Spine CT — Sagittal slice 102/168 — image width 168 mm — W/L 1800/400 HU
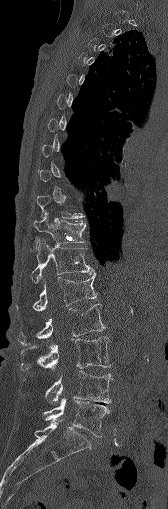 Each box given as x1,y1,x2,y2. A vertebra gets a box only on the slices from the first to the last where its cross-section is at least a third of its largest; on a slice outside that range it gets none. The labeled vertebrae in this slice are: T11 at x1=33, y1=217, x2=85, y2=247, T12 at x1=31, y1=237, x2=93, y2=282, L1 at x1=17, y1=272, x2=97, y2=311, L2 at x1=19, y1=304, x2=105, y2=345, L3 at x1=21, y1=336, x2=111, y2=370, L4 at x1=23, y1=371, x2=112, y2=408, L5 at x1=44, y1=397, x2=109, y2=436.